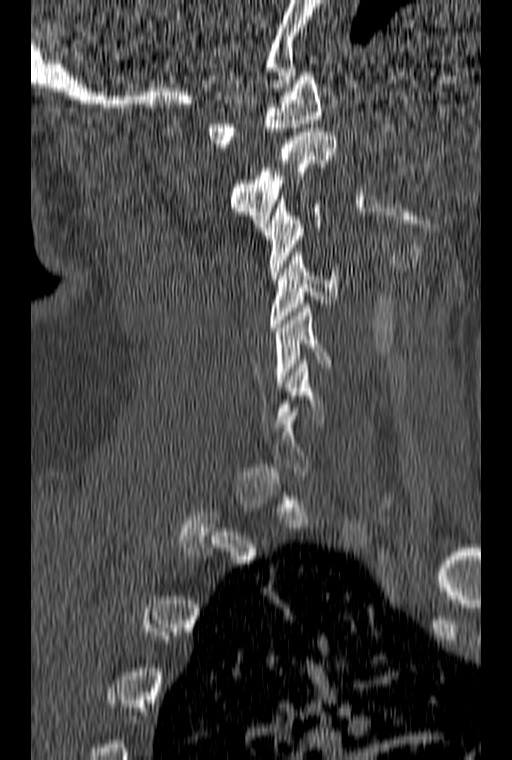

CT. the image is 160 mm wide. sagittal view
In the table, x1 and y1 are a box's top-left corner and x2 and y2 its bottom-right corner, in pixels.
A vertebra gets a box only on the slices from the first to the last where its cross-section is at least a third of its largest; on a slice outside that range it gets none.
| vertebra | x1 | y1 | x2 | y2 |
|---|---|---|---|---|
| C1 | 206 | 72 | 321 | 147 |
| C2 | 229 | 128 | 337 | 227 |
| C3 | 263 | 196 | 323 | 279 |
| C4 | 270 | 252 | 339 | 331 |
| C5 | 275 | 304 | 332 | 387 |